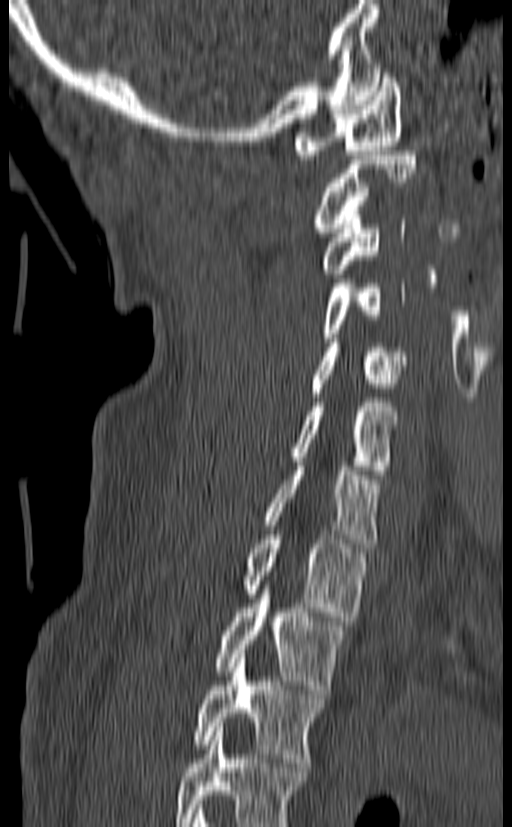
CT · image 140 mm wide · sagittal view
In this scan, the topmost labeled vertebra is C1 and the lowest is T3.
<vertebrae><v name="T3" x1="192" y1="654" x2="326" y2="762"/><v name="T2" x1="213" y1="585" x2="348" y2="694"/><v name="T1" x1="242" y1="530" x2="370" y2="621"/><v name="C7" x1="264" y1="462" x2="381" y2="548"/><v name="C6" x1="290" y1="398" x2="398" y2="474"/><v name="C5" x1="309" y1="338" x2="406" y2="397"/><v name="C4" x1="320" y1="279" x2="405" y2="342"/><v name="C3" x1="320" y1="215" x2="405" y2="278"/><v name="C2" x1="312" y1="151" x2="417" y2="237"/><v name="C1" x1="294" y1="69" x2="402" y2="159"/></vertebrae>